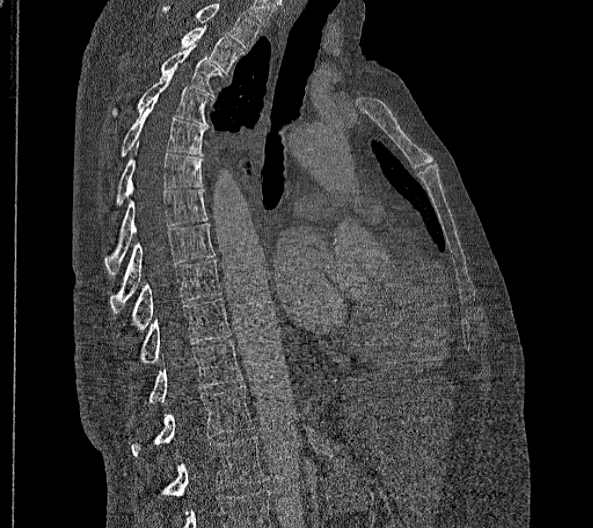 Spine computed tomography; sagittal view; bone window; 593x528 px
Box values are [left, top, right, bottom] in pixels.
This scan's labels start at T2 at the top and end at L2 at the bottom.
In these labels the spine has no T12: the thoracic vertebrae end at T11, and L1 comes next.
{"vertebrae":{"T2":[180,27,244,74],"T3":[160,43,221,98],"T4":[111,73,211,126],"T5":[119,97,205,157],"T6":[114,143,202,205],"T7":[104,188,208,274],"T8":[110,223,216,313],"T9":[133,260,220,329],"T10":[141,298,231,362],"T11":[149,340,242,402],"L1":[131,385,254,456],"L2":[163,437,263,497]}}